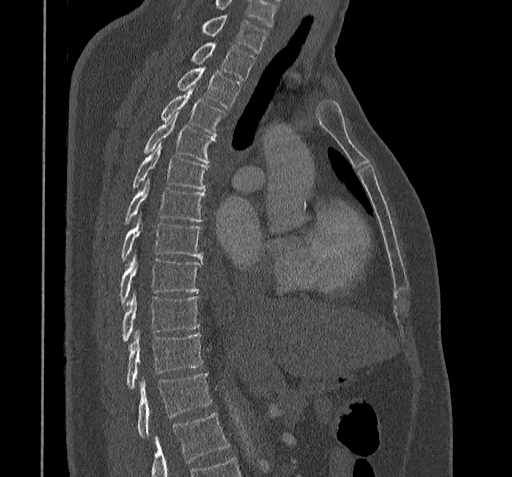

CT, spine · 322 mm wide · sagittal reformat · Bone window (WL 400, WW 1800) · 512x477 px
Boxes below are [x1, y1, x2, y2] in pixels.
No box is given to a vertebra that the bottom edge of the scan cuts off.
The highest labeled vertebra in this scan is C7; the lowest is T11.
{"vertebrae":{"C7":[203,16,266,52],"T1":[192,43,255,79],"T2":[178,66,239,108],"T3":[160,89,224,135],"T4":[144,113,213,162],"T5":[133,143,207,188],"T6":[125,179,204,222],"T7":[122,215,202,259],"T8":[121,252,202,304],"T9":[122,292,199,341],"T10":[127,331,202,388],"T11":[138,374,212,437]}}